Spine CT; Sagittal slice 229/512; bone window
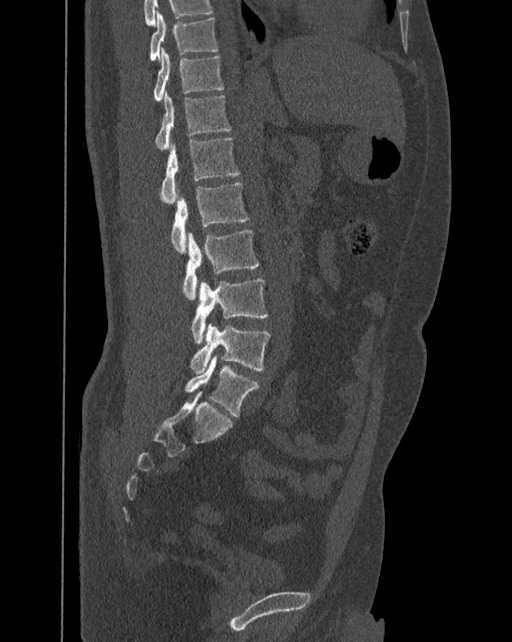
Coordinates as <box>x1,y1,x2,y2</box>.
The labels name a sixth lumbar vertebra for this spine: L6, after L5.
Vertebra bounding boxes:
- L6: <box>185,355,259,416</box>
- L5: <box>191,323,271,374</box>
- L4: <box>191,279,268,343</box>
- L3: <box>183,229,259,300</box>
- L2: <box>171,182,248,252</box>
- L1: <box>160,138,239,204</box>
- T12: <box>155,91,231,149</box>
- T11: <box>154,47,223,101</box>
- T10: <box>150,11,218,61</box>